CT. sagittal plane, index 49. W/L 1800/400 HU. 492x640 px
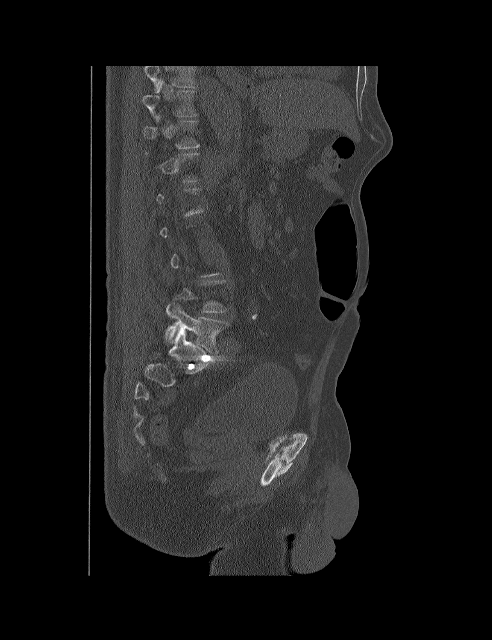

A vertebra is boxed only from the first to the last slice where its cross-section is at least a third of its largest; slices outside that range leave it without a box.
The highest labeled vertebra in this scan is T10; the lowest is L5.
<vertebrae><v name="T10" x1="143" y1="81" x2="196" y2="117"/><v name="L5" x1="165" y1="303" x2="229" y2="353"/></vertebrae>